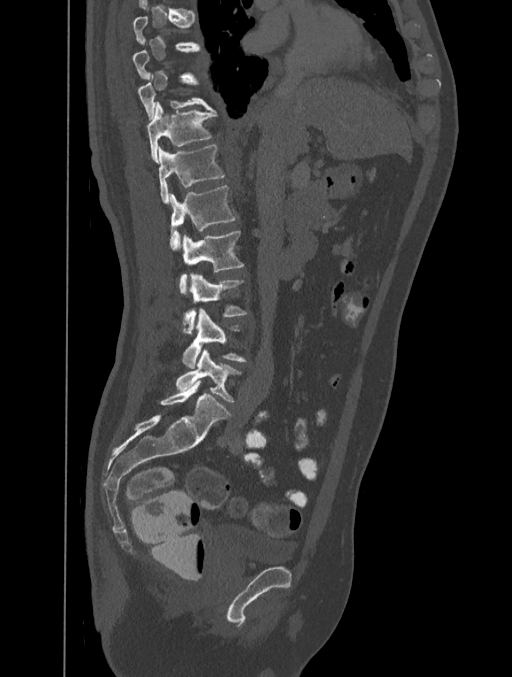 CT · sagittal reformat · bone-window reconstruction
Boxes below are [x1, y1, x2, y2] in pixels.
A vertebra is boxed only from the first to the last slice where its cross-section is at least a third of its largest; slices outside that range leave it without a box.
{"vertebrae":{"T10":[138,75,213,119],"T11":[147,102,216,163],"T12":[158,145,225,204],"L1":[170,185,236,250],"L2":[179,230,244,294],"L3":[184,273,247,333],"L4":[182,308,245,368],"L5":[176,348,241,401]}}